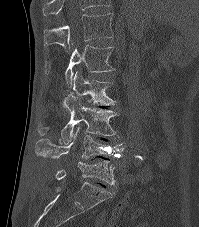
CT — sagittal view — bone window
Boxes: x1 y1 x2 y2 (pixel coords, space-separated).
In this scan, the topmost labeled vertebra is T12 and the lowest is L5.
T12: 43 13 114 51
L1: 45 45 115 86
L2: 73 71 115 105
L3: 38 94 119 143
L4: 35 127 123 158
L5: 55 160 115 184